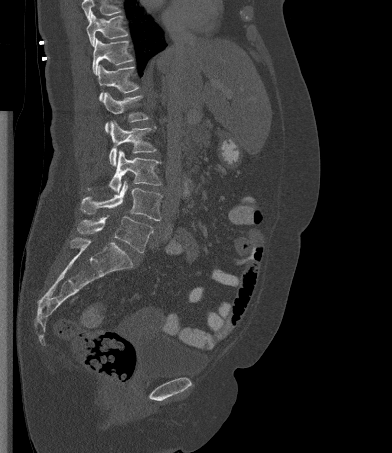 Spine CT; sagittal view

Boxes: x1:y1:x2:y2 in pixels. Where the top of the scan cuts through a vertebra, that vertebra gets no label or box. 8 vertebrae labeled — L5 at 77:216:153:253; L4 at 80:180:162:220; L3 at 88:150:161:192; L2 at 109:121:156:165; L1 at 102:92:148:132; T12 at 97:64:139:100; T11 at 92:38:133:75; T10 at 86:11:128:46.